Spine CT · sagittal view · W/L 1800/400 HU
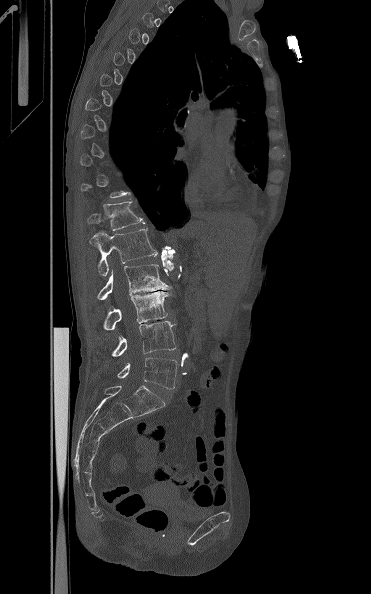

A vertebra is boxed only from the first to the last slice where its cross-section is at least a third of its largest; slices outside that range leave it without a box.
<vertebrae><v name="T12" x1="87" y1="201" x2="145" y2="230"/><v name="L1" x1="90" y1="228" x2="158" y2="276"/><v name="L2" x1="97" y1="264" x2="170" y2="300"/><v name="L3" x1="103" y1="291" x2="169" y2="329"/><v name="L4" x1="112" y1="321" x2="176" y2="357"/><v name="L5" x1="117" y1="357" x2="177" y2="389"/></vertebrae>